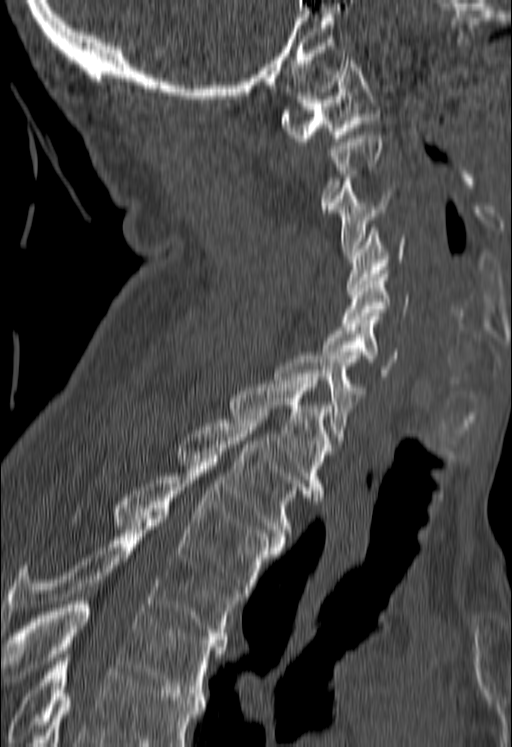

CT · sagittal view · 512x747 px

Each box given as x1,y1,x2,y2.
A vertebra gets a box only on the slices from the first to the last where its cross-section is at least a third of its largest; on a slice outside that range it gets none.
A vertebra cut off by the bottom edge of the scan is not labeled and has no box.
| vertebra | x1 | y1 | x2 | y2 |
|---|---|---|---|---|
| C1 | 280 | 57 | 380 | 141 |
| C3 | 329 | 178 | 391 | 255 |
| C4 | 347 | 228 | 406 | 291 |
| C5 | 342 | 270 | 409 | 326 |
| C6 | 321 | 316 | 397 | 376 |
| C7 | 274 | 356 | 364 | 440 |
| T1 | 228 | 377 | 331 | 497 |
| T2 | 177 | 416 | 307 | 539 |
| T3 | 115 | 459 | 282 | 596 |
| T4 | 0 | 516 | 239 | 643 |
| T5 | 1 | 597 | 225 | 696 |